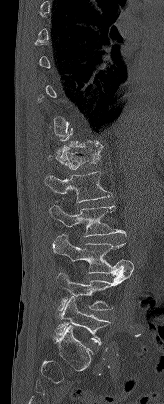
CT — sagittal view — 164 mm across the image — 164x404 px

Boxes are (x1, y1, x2, y2) in pixels.
Not every vertebra on this slice has a box: a vertebra is boxed only from the first to the last slice where its cross-section is at least a third of its largest, and this slice is outside that range for at least one of them.
Vertebra bounding boxes:
- T12: (48, 145, 102, 169)
- L1: (44, 171, 112, 202)
- L2: (49, 205, 126, 236)
- L3: (52, 235, 134, 275)
- L4: (57, 268, 133, 310)
- L5: (56, 297, 110, 344)